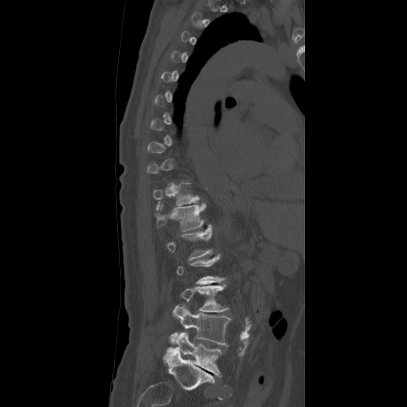 CT — sagittal view — bone-window reconstruction
Each box given as x1,y1,x2,y2. A vertebra is boxed only from the first to the last slice where its cross-section is at least a third of its largest; slices outside that range leave it without a box. 5 vertebrae labeled — T12 at x1=154, y1=203, x2=206, y2=231; L1 at x1=166, y1=225, x2=212, y2=259; L3 at x1=180, y1=284, x2=228, y2=312; L4 at x1=169, y1=304, x2=230, y2=346; L5 at x1=163, y1=332, x2=221, y2=377.